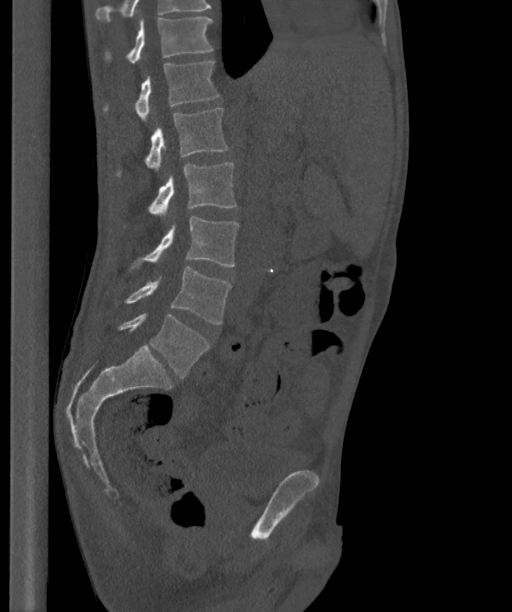 CT, spine. the image is 363 mm wide. sagittal view. Bone window (WL 400, WW 1800)
Boxes are given in columns x1, y1, x2, y2, the pixel coordinates of their top-left and bottom-right corners.
In this scan, the topmost labeled vertebra is T12 and the lowest is L6.
The labels name a sixth lumbar vertebra for this spine: L6, after L5.
| vertebra | x1 | y1 | x2 | y2 |
|---|---|---|---|---|
| T12 | 106 | 17 | 213 | 64 |
| L1 | 104 | 61 | 219 | 121 |
| L2 | 117 | 108 | 229 | 175 |
| L3 | 149 | 162 | 236 | 217 |
| L4 | 130 | 216 | 239 | 272 |
| L5 | 115 | 267 | 232 | 324 |
| L6 | 118 | 315 | 209 | 377 |